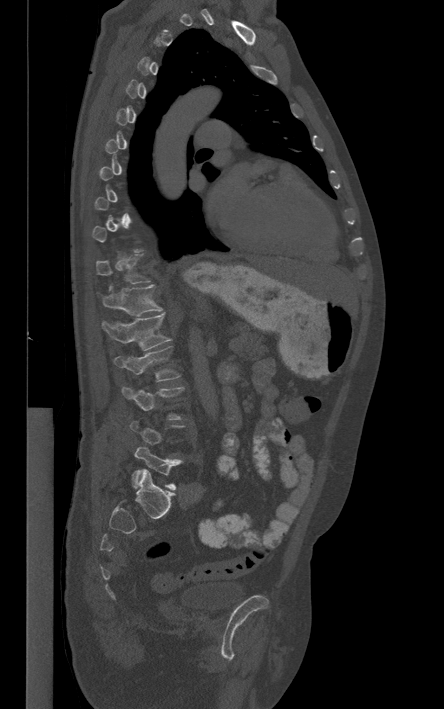 CT · the image spans 444 mm across · sagittal view
Boxes are given in columns x1, y1, x2, y2, the pixel coordinates of their top-left and bottom-right corners.
Not every vertebra on this slice has a box: a vertebra is boxed only from the first to the last slice where its cross-section is at least a third of its largest, and this slice is outside that range for at least one of them.
| vertebra | x1 | y1 | x2 | y2 |
|---|---|---|---|---|
| T11 | 96 | 254 | 150 | 283 |
| T12 | 101 | 284 | 162 | 316 |
| L1 | 102 | 313 | 171 | 350 |
| L2 | 114 | 346 | 180 | 381 |
| L3 | 122 | 387 | 184 | 419 |
| L5 | 132 | 446 | 181 | 489 |